CT — sagittal reformat — bone window — 157x266 px — some of the image was removed or blocked out with constant pixels
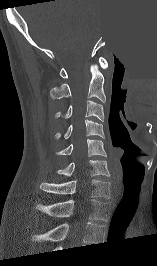

Boxes: x1:y1:x2:y2 in pixels. The highest labeled vertebra in this scan is C1; the lowest is T1. Vertebrae labeled: T1 at 36:199:108:221, C7 at 40:179:110:198, C6 at 56:160:109:176, C5 at 55:139:106:156, C4 at 55:120:104:138, C3 at 54:100:104:121, C2 at 50:64:105:102, C1 at 60:57:107:78.